Spine computed tomography · sagittal view · 187x269 px
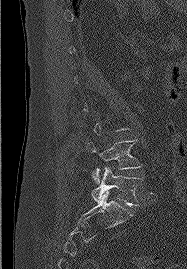 Box edges are left/top/right/bottom in pixels.
A vertebra is boxed only from the first to the last slice where its cross-section is at least a third of its largest; slices outside that range leave it without a box.
Vertebra bounding boxes:
- L4: left=87, top=139, right=141, bottom=183
- L5: left=92, top=167, right=142, bottom=205